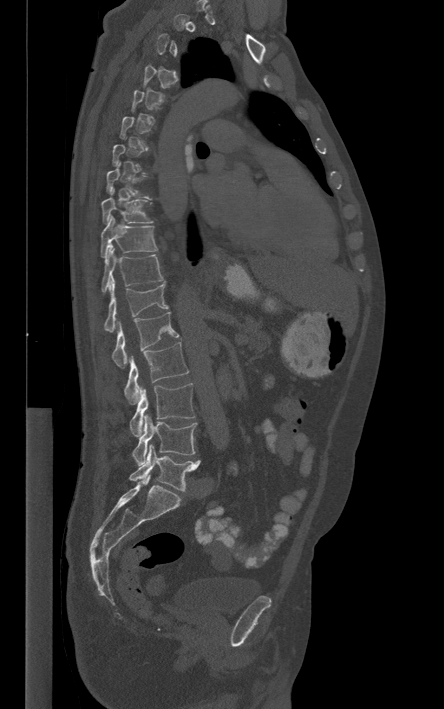

Spine computed tomography — sagittal reformat — W/L 1800/400 HU. Bounding boxes as [x1, y1, x2, y2] in pixel coordinates. A vertebra gets a box only on the slices from the first to the last where its cross-section is at least a third of its largest; on a slice outside that range it gets none. 9 vertebrae labeled — T9 at [101, 187, 152, 223]; T10 at [101, 215, 157, 257]; T11 at [100, 247, 164, 293]; T12 at [104, 275, 168, 332]; L1 at [112, 312, 179, 368]; L2 at [124, 342, 188, 404]; L3 at [129, 383, 194, 436]; L4 at [132, 415, 197, 465]; L5 at [129, 445, 200, 491].